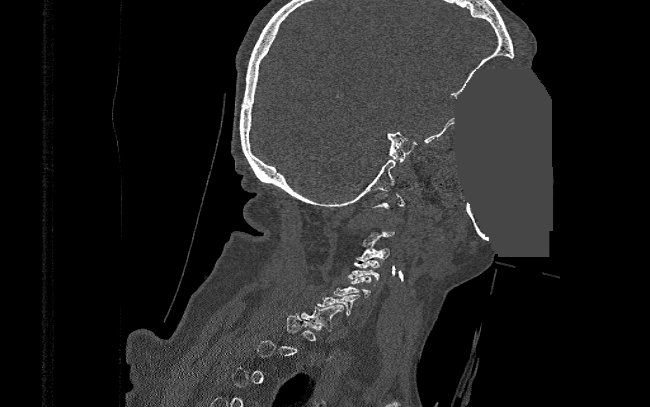 Spine computed tomography; sagittal view; image width 390 mm; bone window; some of the image was removed or blocked out with constant pixels

Each box given as x1,y1,x2,y2.
A vertebra gets a box only on the slices from the first to the last where its cross-section is at least a third of its largest; on a slice outside that range it gets none.
C3: x1=355, y1=244, x2=389, y2=261
C4: x1=348, y1=260, x2=379, y2=280
C5: x1=334, y1=276, x2=371, y2=297
C6: x1=316, y1=294, x2=360, y2=315
C7: x1=301, y1=304, x2=343, y2=331